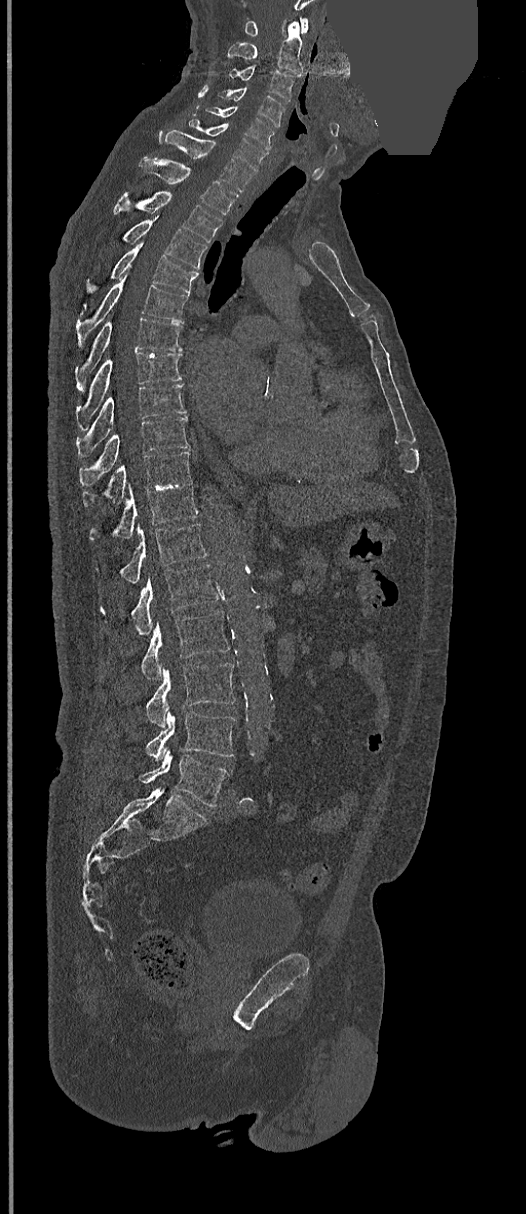
Spine computed tomography — sagittal view — Bone window (WL 400, WW 1800) — some of the image was removed or blocked out with constant pixels
Boxes below are [x1, y1, x2, y2] in pixels.
{"vertebrae":{"C1":[244,17,309,36],"C2":[227,21,303,76],"C3":[229,66,294,102],"C4":[219,87,284,126],"C5":[204,106,274,149],"C6":[188,117,266,172],"C7":[158,130,253,192],"T1":[139,157,237,215],"T2":[114,191,222,242],"T3":[124,216,207,269],"T4":[88,241,197,293],"T5":[76,271,189,339],"T6":[76,319,182,389],"T7":[77,353,182,425],"T8":[77,384,186,456],"T9":[80,416,189,485],"T10":[82,451,192,508],"T11":[89,481,199,540],"T12":[95,523,207,583],"L1":[99,564,220,633],"L2":[140,610,230,680],"L3":[146,663,236,726],"L4":[146,711,236,760],"L5":[140,751,230,806]}}